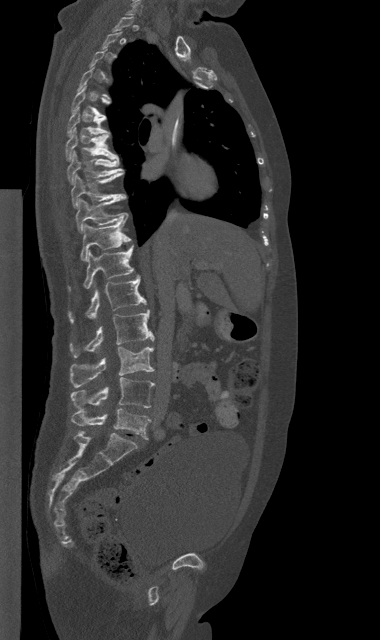
Spine computed tomography. sagittal view. Bone window (WL 400, WW 1800)
Each vertebra maps to its box as [x1, y1, x2, y2], the pixel coordinates of its top-left and bottom-right corners.
A vertebra is boxed only from the first to the last slice where its cross-section is at least a third of its largest; slices outside that range leave it without a box.
{"vertebrae":{"T5":[72,87,110,116],"T6":[67,107,109,136],"T7":[65,128,118,160],"T8":[67,151,123,184],"T9":[71,172,126,208],"T10":[76,198,127,232],"T11":[80,220,130,260],"T12":[68,245,133,290],"L1":[69,275,146,321],"L2":[70,310,154,357],"L3":[70,347,153,387],"L4":[71,377,154,409],"L5":[71,408,150,439]}}